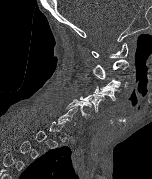

Spine CT; sagittal view; Bone window (WL 400, WW 1800)
A vertebra is boxed only from the first to the last slice where its cross-section is at least a third of its largest; slices outside that range leave it without a box.
<vertebrae><v name="C6" x1="66" y1="99" x2="91" y2="117"/><v name="C5" x1="80" y1="93" x2="104" y2="112"/><v name="C4" x1="93" y1="85" x2="120" y2="101"/><v name="C3" x1="100" y1="78" x2="127" y2="90"/><v name="C2" x1="93" y1="59" x2="128" y2="79"/><v name="C1" x1="91" y1="43" x2="128" y2="58"/></vertebrae>